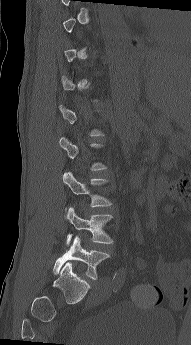
Computed tomography of the spine — sagittal reformat
Each box given as x1,y1,x2,y2. A vertebra gets a box only on the slices from the first to the last where its cross-section is at least a third of its largest; on a slice outside that range it gets none. 3 vertebrae labeled — L3 at x1=62, y1=171, x2=112, y2=210; L4 at x1=64, y1=206, x2=113, y2=246; L5 at x1=53, y1=236, x2=110, y2=280.